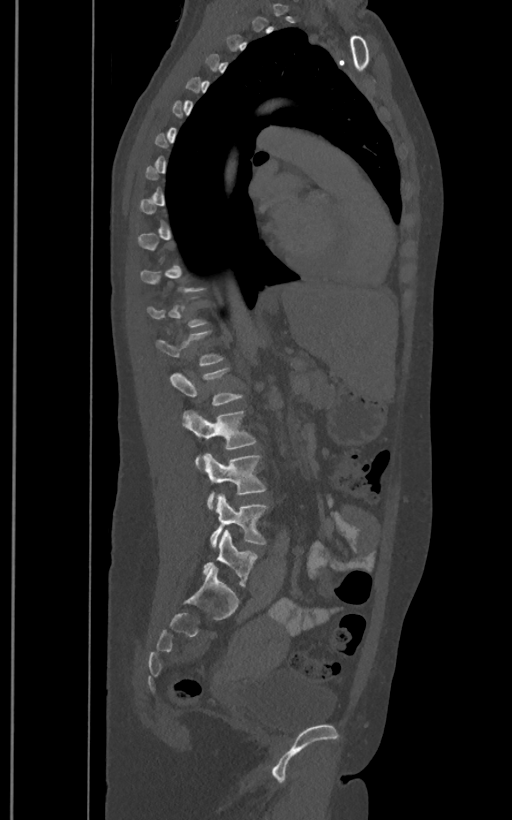 Spine CT. sagittal view. image 400 mm wide. 512x820 px. Coordinates as <box>x1,y1,x2,y2</box>.
A vertebra gets a box only on the slices from the first to the last where its cross-section is at least a third of its largest; on a slice outside that range it gets none.
In these labels the spine has an L6, a sixth lumbar vertebra below L5.
Vertebra bounding boxes:
- L2: <box>169,369,242,405</box>
- L3: <box>182,411,256,459</box>
- L4: <box>202,453,265,508</box>
- L5: <box>211,494,266,546</box>
- L6: <box>203,530,256,587</box>